CT spine — sagittal view — Bone window (WL 400, WW 1800) — 371x594 px — 15 vertebrae labeled in this scan
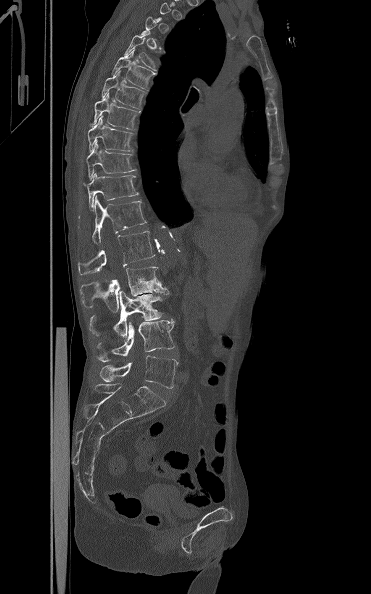
Boxes below are [x1, y1, x2, y2] in pixels.
Not every vertebra on this slice has a box: a vertebra is boxed only from the first to the last slice where its cross-section is at least a third of its largest, and this slice is outside that range for at least one of them.
{"vertebrae":{"T5":[123,35,156,71],"T6":[111,50,156,90],"T7":[101,71,145,109],"T8":[92,93,140,129],"T9":[87,116,132,151],"T10":[86,142,136,180],"T11":[82,172,139,211],"T12":[92,195,147,244],"L1":[78,231,155,275],"L2":[80,266,168,311],"L3":[89,290,165,337],"L4":[97,319,175,362],"L5":[100,355,178,388]}}